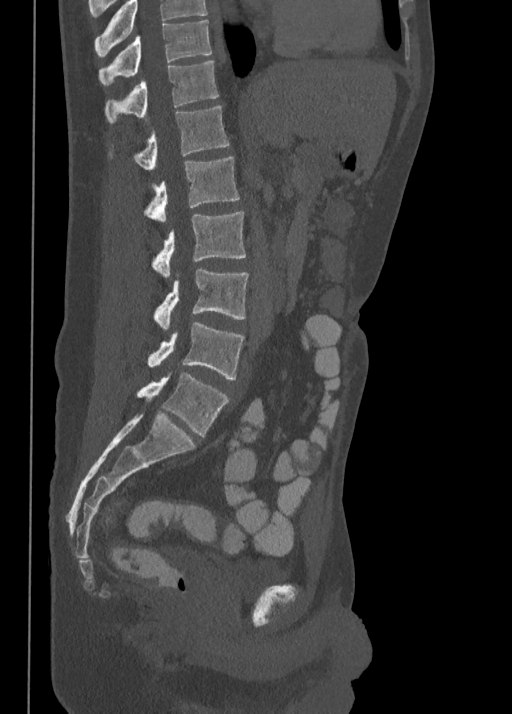

CT. sagittal view

Each box is [x1, y1, x2, y2] in pixels: top-left corner, then bottom-right corner.
The highest labeled vertebra in this scan is T10; the lowest is L5.
{"vertebrae":{"L5":[137,373,228,436],"L4":[148,321,245,379],"L3":[153,269,249,329],"L2":[152,211,246,277],"L1":[143,157,239,222],"T12":[108,105,228,170],"T11":[105,59,218,123],"T10":[99,20,211,85]}}